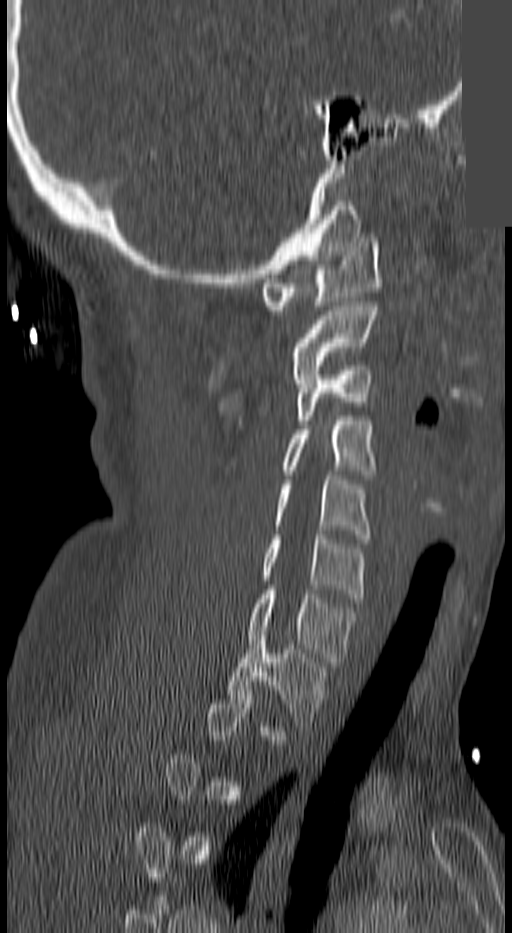

CT · sagittal reformat · bone window · an area of the scan was removed and filled with constant pixels
A vertebra gets a box only on the slices from the first to the last where its cross-section is at least a third of its largest; on a slice outside that range it gets none.
<vertebrae><v name="C1" x1="261" y1="238" x2="381" y2="314"/><v name="C2" x1="290" y1="302" x2="377" y2="378"/><v name="C3" x1="296" y1="361" x2="373" y2="424"/><v name="C4" x1="283" y1="416" x2="377" y2="479"/><v name="C5" x1="272" y1="475" x2="370" y2="538"/><v name="C6" x1="261" y1="535" x2="366" y2="602"/><v name="C7" x1="246" y1="590" x2="355" y2="666"/><v name="T1" x1="226" y1="635" x2="329" y2="730"/></vertebrae>